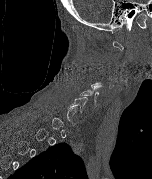

CT spine. sagittal view. the image is 152 mm wide. 152x179 px
Each box given as x1,y1,x2,y2.
Not every vertebra on this slice has a box: a vertebra is boxed only from the first to the last slice where its cross-section is at least a third of its largest, and this slice is outside that range for at least one of them.
Vertebra bounding boxes:
- C5: x1=80, y1=84, x2=102, y2=106
- C6: x1=68, y1=97, x2=87, y2=112